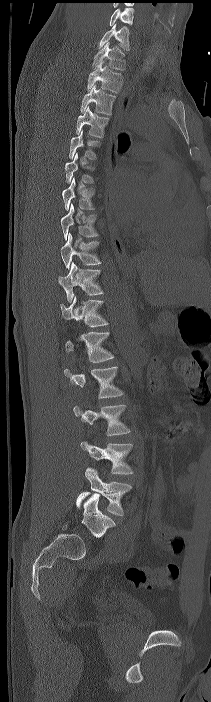

CT spine · sagittal view · 211 mm image width · 211x702 px

In this scan, the topmost labeled vertebra is C7 and the lowest is L4.
<vertebrae><v name="C7" x1="99" y1="24" x2="129" y2="50"/><v name="T1" x1="92" y1="42" x2="125" y2="70"/><v name="T2" x1="87" y1="60" x2="123" y2="93"/><v name="T3" x1="80" y1="85" x2="115" y2="114"/><v name="T4" x1="76" y1="106" x2="108" y2="137"/><v name="T5" x1="69" y1="128" x2="100" y2="159"/><v name="T6" x1="65" y1="153" x2="94" y2="183"/><v name="T7" x1="62" y1="177" x2="95" y2="210"/><v name="T8" x1="61" y1="203" x2="98" y2="240"/><v name="T9" x1="60" y1="233" x2="101" y2="268"/><v name="T10" x1="58" y1="261" x2="103" y2="302"/><v name="T11" x1="59" y1="296" x2="108" y2="327"/><v name="T12" x1="65" y1="332" x2="114" y2="362"/><v name="L1" x1="64" y1="366" x2="123" y2="398"/><v name="L2" x1="73" y1="404" x2="130" y2="435"/><v name="L3" x1="80" y1="441" x2="133" y2="474"/><v name="L4" x1="76" y1="468" x2="131" y2="516"/></vertebrae>